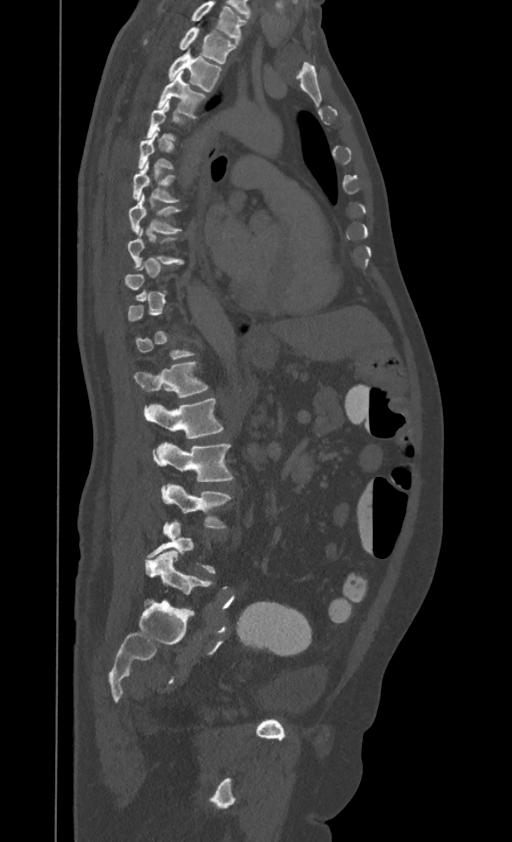

CT spine · sagittal reformat · Bone window (WL 400, WW 1800) · 395 mm across the image · 512x842 px
Columns x1, y1, x2, y2 give each box's top-left and bottom-right pixels.
A vertebra gets a box only on the slices from the first to the last where its cross-section is at least a third of its largest; on a slice outside that range it gets none.
This scan's labels start at T1 at the top and end at L4 at the bottom.
| vertebra | x1 | y1 | x2 | y2 |
|---|---|---|---|---|
| T1 | 144 | 26 | 235 | 63 |
| T2 | 168 | 50 | 222 | 91 |
| T3 | 157 | 71 | 206 | 118 |
| T6 | 132 | 160 | 178 | 202 |
| T7 | 128 | 192 | 182 | 233 |
| T8 | 128 | 227 | 183 | 267 |
| T12 | 135 | 362 | 208 | 397 |
| L1 | 144 | 398 | 223 | 439 |
| L2 | 153 | 442 | 233 | 481 |
| L3 | 161 | 483 | 232 | 527 |